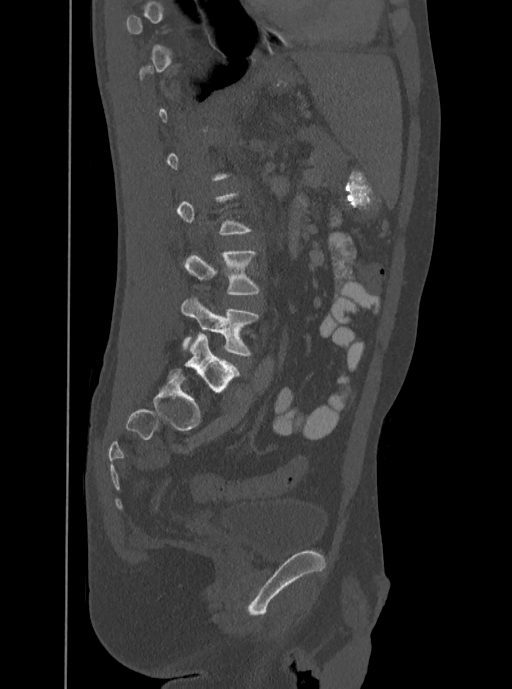 CT, spine; sagittal view; W/L 1800/400 HU; 512x689 px
Boxes are (x1, y1, x2, y2) in pixels.
Not every vertebra on this slice has a box: a vertebra is boxed only from the first to the last slice where its cross-section is at least a third of its largest, and this slice is outside that range for at least one of them.
L4: (184, 250, 259, 294)
L5: (181, 296, 259, 356)